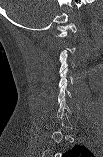
CT, spine; sagittal view; Bone window (WL 400, WW 1800); 103x157 px
Boxes are (x1, y1, x2, y2) in pixels. A vertebra gets a box only on the slices from the first to the last where its cross-section is at least a third of its largest; on a slice outside that range it gets none. 5 vertebrae labeled — C1 at (56, 23, 76, 36); C3 at (59, 53, 75, 72); C4 at (59, 67, 72, 87); C5 at (58, 83, 71, 104); C6 at (57, 98, 71, 117).